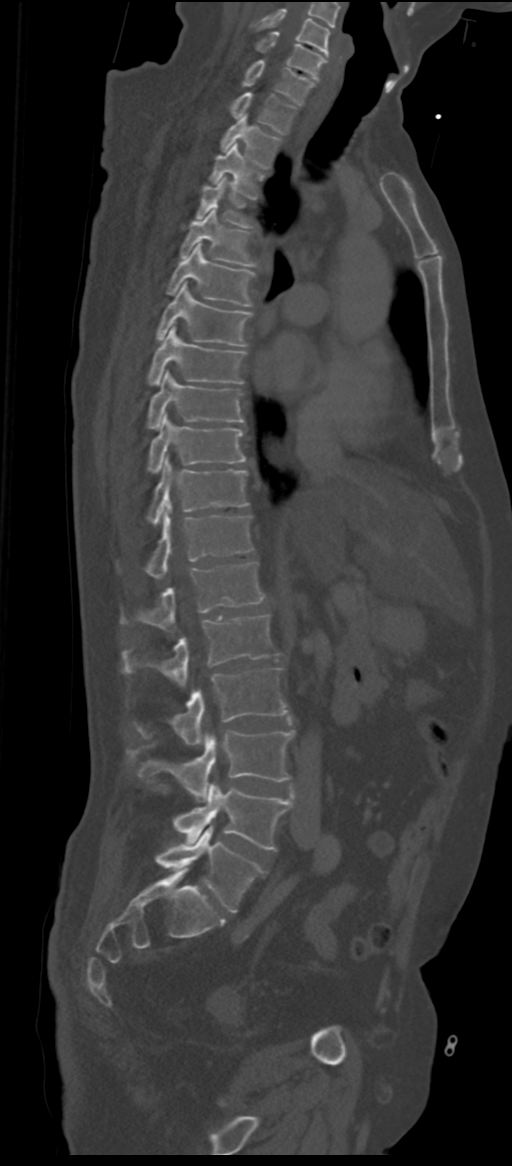
Computed tomography of the spine — sagittal view — W/L 1800/400 HU — 512x1166 px

Boxes are (x1, y1, x2, y2) in pixels.
In these labels the spine has an L6, a sixth lumbar vertebra below L5.
C5: (254, 9, 329, 55)
C6: (256, 32, 325, 80)
C7: (242, 60, 314, 105)
T1: (231, 93, 296, 134)
T2: (221, 116, 279, 167)
T3: (209, 144, 263, 197)
T4: (196, 177, 251, 228)
T5: (180, 206, 256, 266)
T6: (167, 242, 255, 306)
T7: (157, 282, 251, 345)
T8: (148, 326, 246, 385)
T9: (148, 371, 245, 429)
T10: (148, 414, 245, 472)
T11: (147, 457, 248, 525)
T12: (145, 503, 253, 577)
L1: (121, 562, 264, 628)
L2: (122, 615, 279, 686)
L3: (137, 667, 287, 745)
L4: (127, 730, 294, 801)
L5: (173, 784, 292, 849)
L6: (155, 825, 266, 912)